CT; Sagittal slice 198/512; the image is 140 mm wide
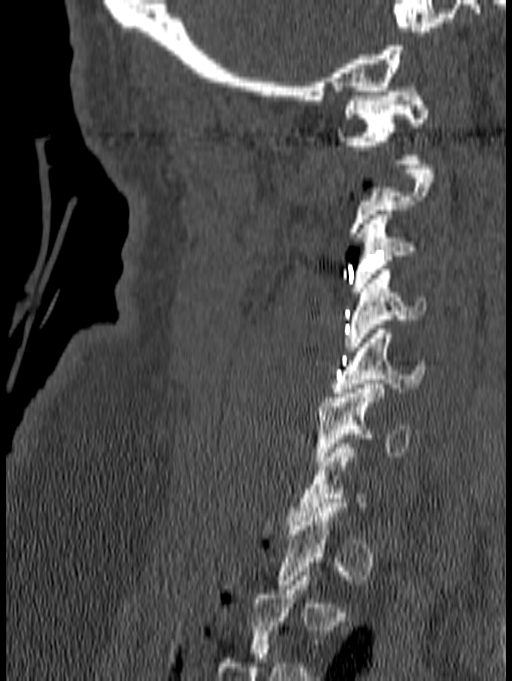
Coordinates as <box>x1,y1,x2,y2</box>. A vertebra is boxed only from the first to the last slice where its cross-section is at least a third of its largest; slices outside that range leave it without a box. The labeled vertebrae in this slice are: C1 at <box>336,87,428,164</box>, C3 at <box>350,210,417,296</box>, C4 at <box>343,270,426,351</box>, C5 at <box>330,329,425,397</box>, C6 at <box>315,384,411,465</box>.